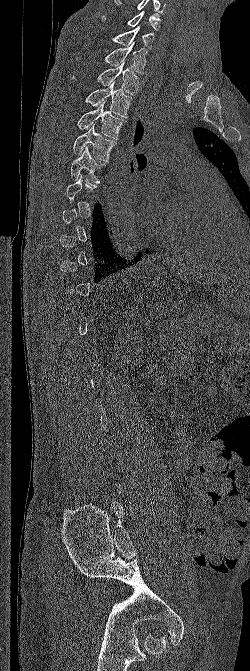

Computed tomography of the spine · sagittal view
Each vertebra maps to its box as [x1, y1, x2, y2], the pixel coordinates of its top-left and bottom-right corners.
Not every vertebra on this slice has a box: a vertebra is boxed only from the first to the last slice where its cross-section is at least a third of its largest, and this slice is outside that range for at least one of them.
This scan's labels start at C6 at the top and end at L5 at the bottom.
{"vertebrae":{"C6":[101,11,161,30],"C7":[110,26,154,49],"T1":[79,42,147,74],"T2":[71,62,139,95],"T3":[85,81,133,117],"T4":[77,102,126,139],"T5":[72,124,116,161],"T6":[70,146,106,182]}}